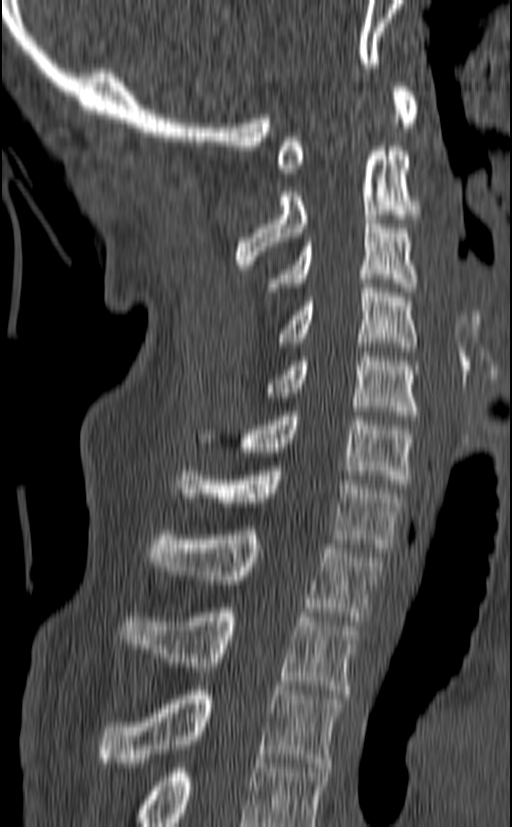 Computed tomography of the spine; sagittal reformat; bone window; 512x827 px

Coordinates as <box>x1,y1,x2,y2</box>. Labels in this scan begin with C1 at the top and end with T3 at the bottom. The labeled vertebrae in this slice are: C1 at <box>276,87,418,173</box>, C2 at <box>235,146,420,269</box>, C3 at <box>267,219,417,292</box>, C4 at <box>279,283,417,351</box>, C5 at <box>265,352,418,420</box>, C6 at <box>195,411,414,488</box>, C7 at <box>177,466,403,552</box>, T1 at <box>148,530,381,621</box>, T2 at <box>118,608,359,694</box>, T3 at <box>96,686,342,767</box>.